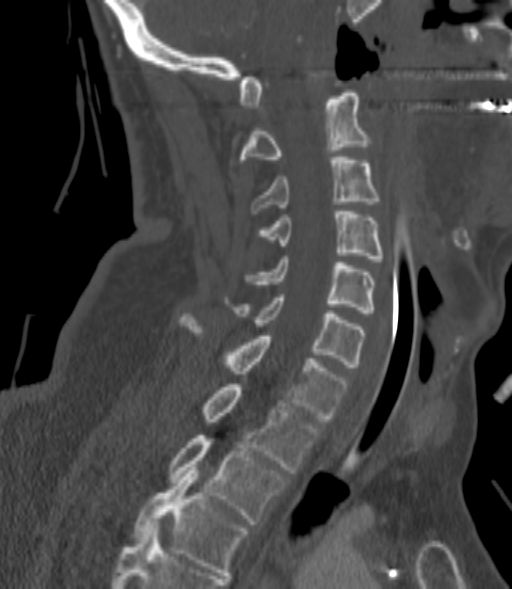
Spine computed tomography — sagittal reformat
Not every vertebra on this slice has a box: a vertebra is boxed only from the first to the last slice where its cross-section is at least a third of its largest, and this slice is outside that range for at least one of them.
<vertebrae><v name="C2" x1="239" y1="93" x2="371" y2="165"/><v name="C3" x1="251" y1="157" x2="379" y2="213"/><v name="C4" x1="259" y1="211" x2="384" y2="261"/><v name="C5" x1="247" y1="256" x2="374" y2="313"/><v name="C6" x1="236" y1="294" x2="363" y2="367"/><v name="C7" x1="183" y1="317" x2="348" y2="421"/><v name="T1" x1="203" y1="384" x2="320" y2="473"/><v name="T2" x1="170" y1="435" x2="287" y2="524"/><v name="T3" x1="134" y1="467" x2="246" y2="575"/></vertebrae>